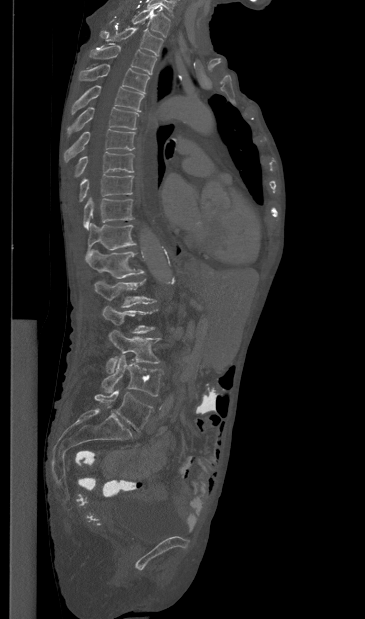

CT spine; sagittal reformat; 365x619 px
Box values are [left, top, right, bottom] in pixels.
{"vertebrae":{"T1":[131,8,170,37],"T2":[100,27,163,55],"T3":[90,45,156,74],"T4":[79,64,149,92],"T5":[71,85,144,114],"T6":[67,107,138,135],"T7":[64,129,135,162],"T8":[75,151,134,176],"T9":[79,174,133,201],"T10":[83,197,134,229],"T11":[86,223,136,259],"T12":[85,249,143,278],"L1":[94,279,156,307],"L2":[102,305,157,333],"L3":[106,330,160,373],"L4":[102,355,163,396],"L5":[94,390,152,431]}}